Computed tomography of the spine; sagittal plane, index 205
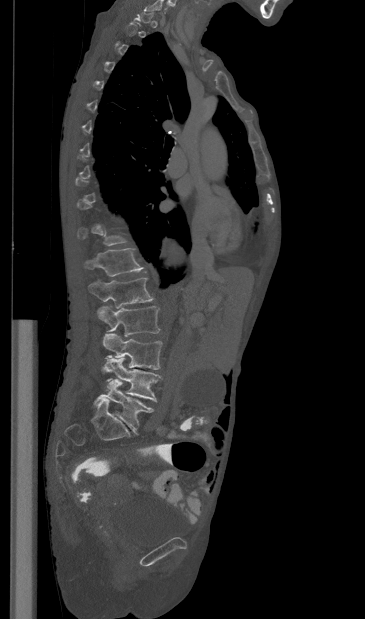 Boxes are given in columns x1, y1, x2, y2, the pixel coordinates of their top-left and bottom-right corners.
A vertebra gets a box only on the slices from the first to the last where its cross-section is at least a third of its largest; on a slice outside that range it gets none.
| vertebra | x1 | y1 | x2 | y2 |
|---|---|---|---|---|
| T12 | 85 | 248 | 143 | 276 |
| L1 | 89 | 278 | 153 | 308 |
| L2 | 97 | 305 | 160 | 336 |
| L3 | 103 | 333 | 162 | 369 |
| L4 | 103 | 358 | 161 | 401 |
| L5 | 93 | 379 | 153 | 433 |